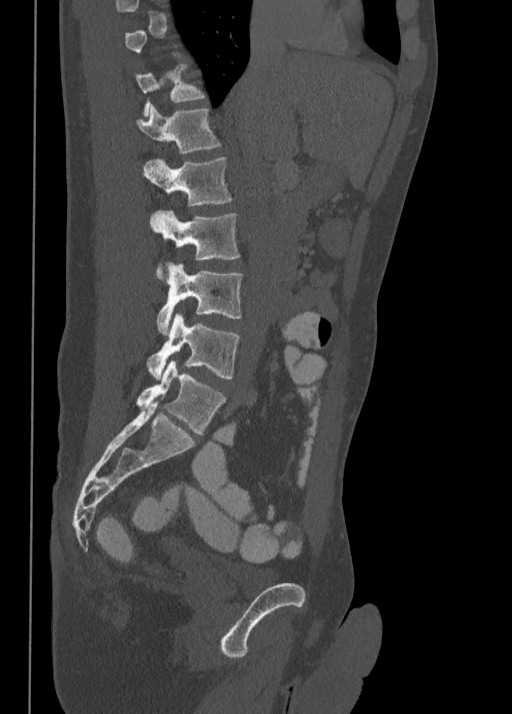

CT, spine. sagittal view
Box edges are left/top/right/bottom in pixels.
A vertebra is boxed only from the first to the last slice where its cross-section is at least a third of its largest; slices outside that range leave it without a box.
| vertebra | x1 | y1 | x2 | y2 |
|---|---|---|---|---|
| T11 | 136 | 65 | 205 | 117 |
| T12 | 136 | 103 | 220 | 154 |
| L1 | 143 | 158 | 231 | 204 |
| L2 | 149 | 211 | 240 | 277 |
| L3 | 156 | 261 | 242 | 335 |
| L4 | 146 | 313 | 239 | 379 |
| L5 | 136 | 361 | 226 | 435 |